Spine computed tomography · image width 368 mm · sagittal reformat · an area of the scan was removed and filled with constant pixels
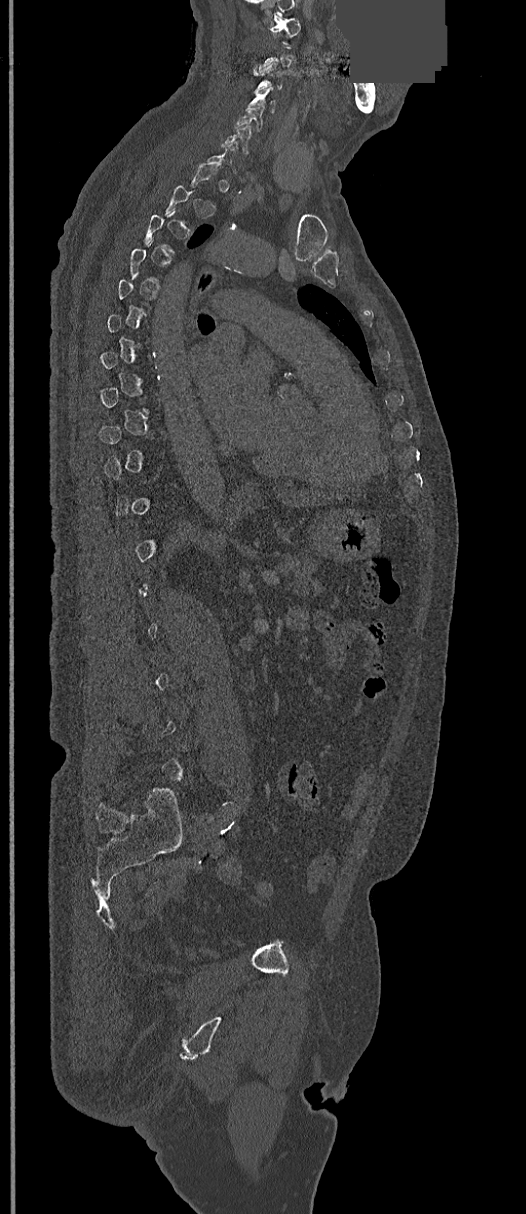
Not every vertebra on this slice has a box: a vertebra is boxed only from the first to the last slice where its cross-section is at least a third of its largest, and this slice is outside that range for at least one of them.
<vertebrae><v name="C1" x1="269" y1="15" x2="300" y2="38"/><v name="C4" x1="246" y1="87" x2="274" y2="112"/><v name="C5" x1="235" y1="106" x2="263" y2="131"/></vertebrae>